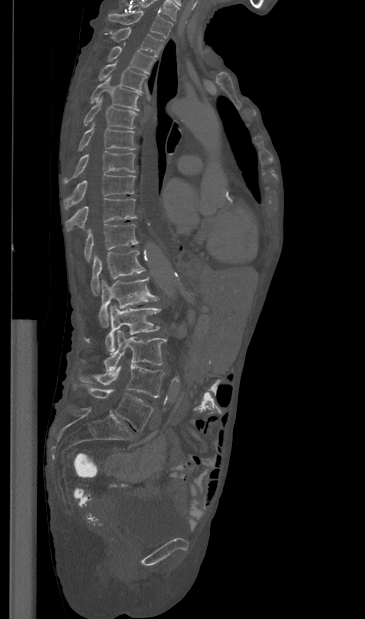
CT · sagittal view · the image spans 365 mm across
Labels in this scan begin with T1 at the top and end with L5 at the bottom.
<vertebrae><v name="T1" x1="108" y1="11" x2="172" y2="38"/><v name="T2" x1="110" y1="27" x2="163" y2="56"/><v name="T3" x1="108" y1="46" x2="154" y2="73"/><v name="T4" x1="98" y1="61" x2="146" y2="92"/><v name="T5" x1="90" y1="76" x2="140" y2="110"/><v name="T6" x1="84" y1="97" x2="136" y2="128"/><v name="T7" x1="78" y1="123" x2="135" y2="150"/><v name="T8" x1="63" y1="151" x2="135" y2="183"/><v name="T9" x1="63" y1="174" x2="135" y2="209"/><v name="T10" x1="65" y1="198" x2="136" y2="231"/><v name="T11" x1="84" y1="223" x2="138" y2="261"/><v name="T12" x1="91" y1="250" x2="145" y2="295"/><v name="L1" x1="98" y1="277" x2="158" y2="327"/><v name="L2" x1="84" y1="305" x2="160" y2="353"/><v name="L3" x1="104" y1="330" x2="166" y2="372"/><v name="L4" x1="79" y1="364" x2="164" y2="397"/><v name="L5" x1="84" y1="384" x2="153" y2="431"/></vertebrae>